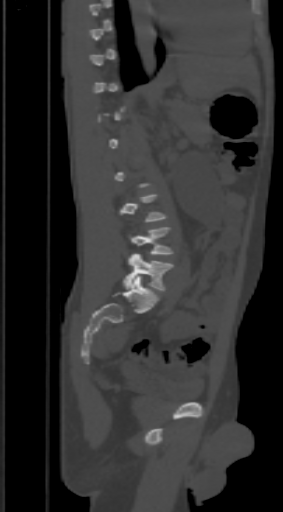

Spine CT. 303 mm image width. sagittal view. W/L 1800/400 HU
Each vertebra maps to its box as [x1, y1, x2, y2], the pixel coordinates of its top-left and bottom-right corners.
A vertebra is boxed only from the first to the last slice where its cross-section is at least a third of its largest; slices outside that range leave it without a box.
{"vertebrae":{"L4":[132,227,173,254],"L5":[123,253,173,290]}}